Spine CT — sagittal view — 512x612 px — image width 363 mm — scan covers 7 annotated vertebrae
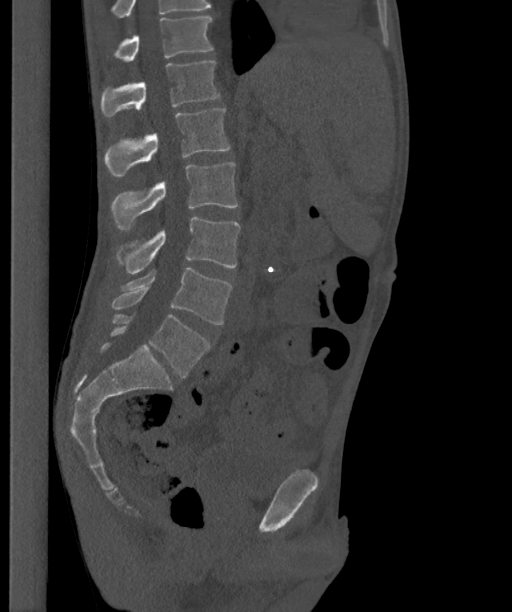
Boxes are given in columns x1, y1, x2, y2, the pixel coordinates of their top-left and bottom-right corners.
In this scan, the topmost labeled vertebra is T12 and the lowest is L6.
The labels name a sixth lumbar vertebra for this spine: L6, after L5.
| vertebra | x1 | y1 | x2 | y2 |
|---|---|---|---|---|
| L6 | 110 | 315 | 209 | 377 |
| L5 | 111 | 268 | 232 | 324 |
| L4 | 115 | 217 | 240 | 273 |
| L3 | 111 | 162 | 237 | 230 |
| L2 | 104 | 108 | 230 | 177 |
| L1 | 101 | 61 | 219 | 116 |
| T12 | 114 | 17 | 213 | 61 |